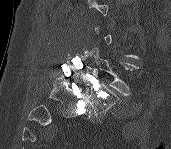
Spine computed tomography; sagittal view

Each row gives a vertebra's box as x1, y1, x2, y2 in pixels: top-left corner, then bottom-right corner.
A vertebra is boxed only from the first to the last slice where its cross-section is at least a third of its largest; slices outside that range leave it without a box.
| vertebra | x1 | y1 | x2 | y2 |
|---|---|---|---|---|
| L4 | 84 | 47 | 138 | 95 |
| L5 | 83 | 78 | 120 | 119 |